Computed tomography of the spine · sagittal view
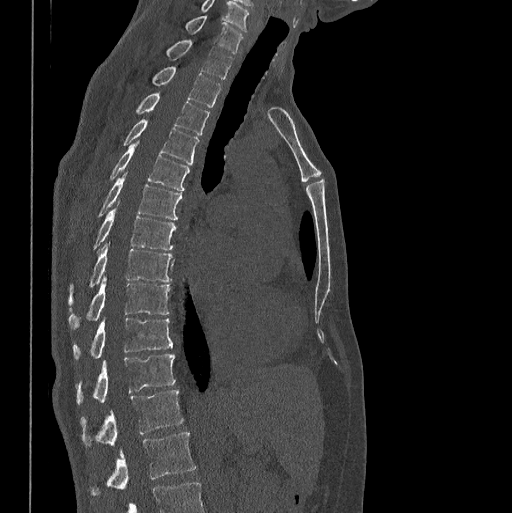 Boxes: x1:y1:x2:y2 in pixels.
In this scan, the topmost labeled vertebra is C7 and the lowest is L1.
Vertebra bounding boxes:
- L1: 91:432:196:493
- T12: 81:389:183:446
- T11: 77:354:175:404
- T10: 73:317:173:359
- T9: 68:277:170:328
- T8: 69:243:171:303
- T7: 94:201:175:249
- T6: 99:173:182:220
- T5: 110:141:189:190
- T4: 123:119:198:165
- T3: 136:93:209:134
- T2: 153:66:220:107
- T1: 167:39:232:79
- C7: 185:15:242:52